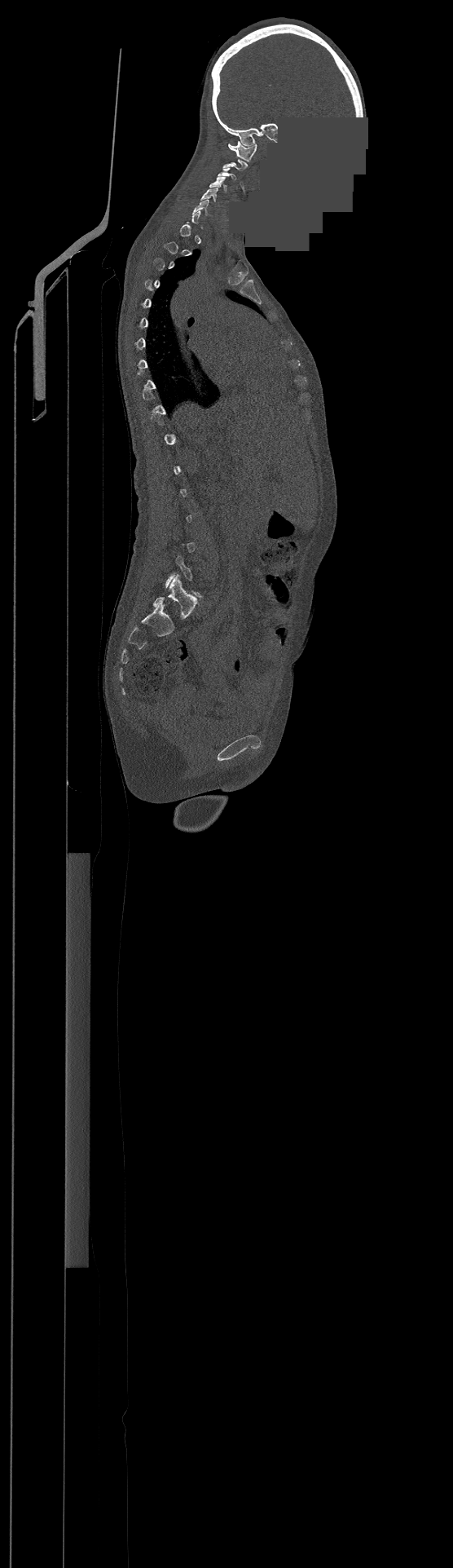

Spine CT. sagittal reformat. Bone window (WL 400, WW 1800). part of the image has been replaced by a constant value

Boxes: x1:y1:x2:y2 in pixels.
Each vertebra is boxed only on the slices from the first to the last where its cross-section reaches a third of its largest, so a slice outside that range leaves it unboxed.
Vertebra bounding boxes:
- C1: 228:141:257:161
- C3: 218:168:236:179
- C4: 209:177:226:191
- C5: 200:188:218:202
- C6: 194:200:209:215